Spine CT. sagittal view. 221x243 px. a region is blanked to uniform black, ending in a straight edge
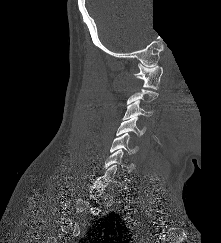

In the table, x1 and y1 are a box's top-left corner and x2 and y2 its bottom-right corner, in pixels.
A vertebra gets a box only on the slices from the first to the last where its cross-section is at least a third of its largest; on a slice outside that range it gets none.
| vertebra | x1 | y1 | x2 | y2 |
|---|---|---|---|---|
| C1 | 134 | 63 | 163 | 90 |
| C3 | 122 | 100 | 152 | 120 |
| C4 | 116 | 117 | 145 | 136 |
| C5 | 110 | 133 | 138 | 154 |
| C6 | 104 | 149 | 134 | 173 |
| C7 | 94 | 165 | 121 | 186 |